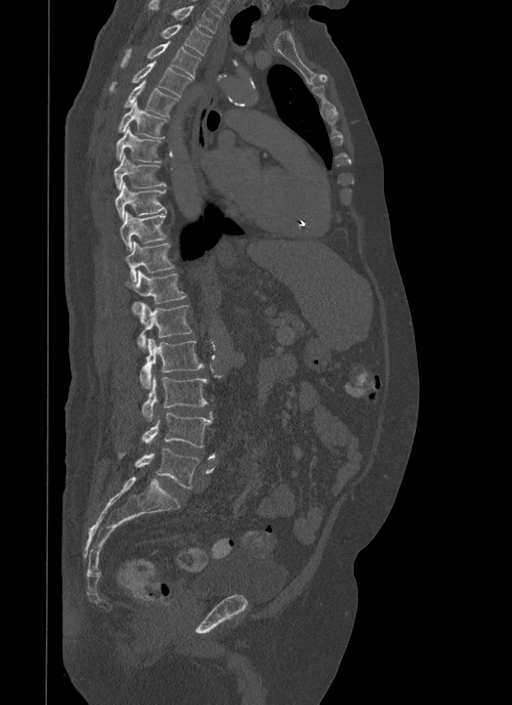

Computed tomography of the spine · sagittal view · the image spans 500 mm across · Bone window (WL 400, WW 1800) · 512x705 px

Boxes: x1:y1:x2:y2 in pixels.
T1: 148:0:220:34
T2: 162:24:211:55
T3: 120:41:201:79
T4: 109:60:191:97
T5: 123:79:178:117
T6: 118:100:167:138
T7: 115:126:161:163
T8: 113:155:165:189
T9: 114:182:166:220
T10: 119:212:166:251
T11: 124:241:174:282
T12: 124:269:187:314
L1: 138:302:192:349
L2: 140:338:204:388
L3: 143:375:208:421
L4: 142:412:212:448
L5: 118:447:199:488